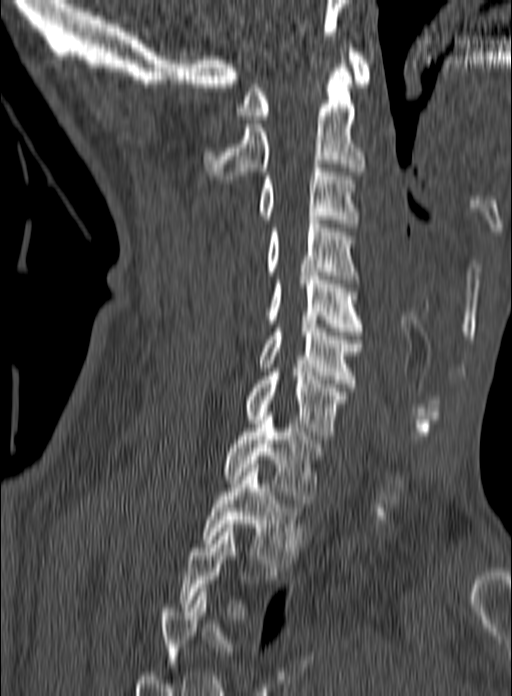

CT · sagittal view · W/L 1800/400 HU

Box edges are left/top/right/bottom in pixels.
Not every vertebra on this slice has a box: a vertebra is boxed only from the first to the last slice where its cross-section is at least a third of its largest, and this slice is outside that range for at least one of them.
| vertebra | x1 | y1 | x2 | y2 |
|---|---|---|---|---|
| C1 | 236 | 48 | 369 | 119 |
| C2 | 202 | 48 | 365 | 179 |
| C3 | 257 | 164 | 358 | 227 |
| C4 | 267 | 220 | 359 | 283 |
| C5 | 268 | 272 | 364 | 335 |
| C6 | 259 | 320 | 362 | 387 |
| C7 | 244 | 368 | 347 | 439 |
| T1 | 222 | 412 | 323 | 503 |
| T2 | 203 | 464 | 307 | 567 |